CT, spine — sagittal view — bone-window reconstruction
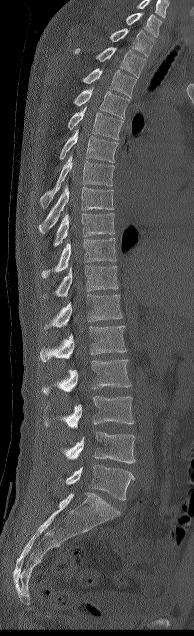

The highest labeled vertebra in this scan is C7; the lowest is L5.
<vertebrae><v name="C7" x1="125" y1="12" x2="162" y2="37"/><v name="T1" x1="110" y1="28" x2="154" y2="56"/><v name="T2" x1="75" y1="47" x2="145" y2="77"/><v name="T3" x1="82" y1="68" x2="136" y2="97"/><v name="T4" x1="74" y1="88" x2="129" y2="119"/><v name="T5" x1="68" y1="107" x2="123" y2="139"/><v name="T6" x1="59" y1="129" x2="118" y2="163"/><v name="T7" x1="40" y1="154" x2="114" y2="209"/><v name="T8" x1="39" y1="185" x2="114" y2="233"/><v name="T9" x1="54" y1="213" x2="114" y2="246"/><v name="T10" x1="42" y1="238" x2="116" y2="278"/><v name="T11" x1="55" y1="265" x2="118" y2="296"/><v name="T12" x1="44" y1="294" x2="122" y2="329"/><v name="L1" x1="40" y1="325" x2="126" y2="362"/><v name="L2" x1="42" y1="359" x2="131" y2="395"/><v name="L3" x1="45" y1="395" x2="134" y2="429"/><v name="L4" x1="60" y1="432" x2="135" y2="463"/><v name="L5" x1="65" y1="464" x2="135" y2="500"/></vertebrae>